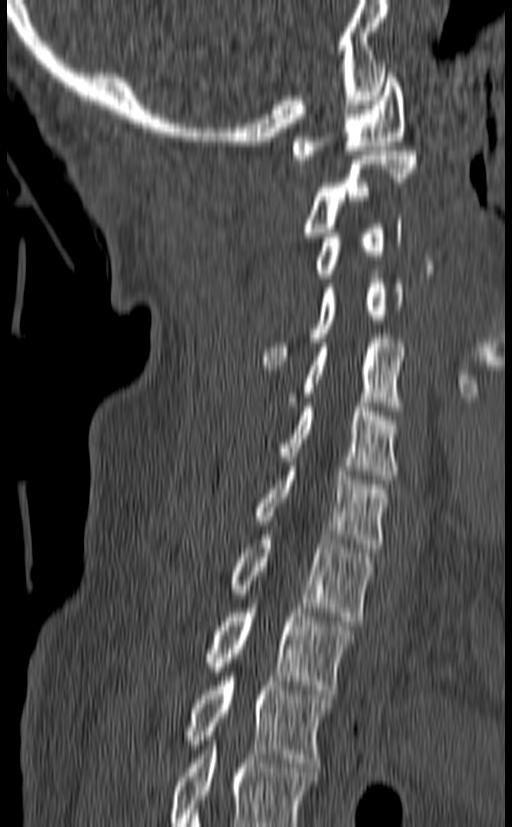 CT, spine · sagittal view · bone-window reconstruction

Each row gives a vertebra's box as x1, y1, x2, y2 in pixels: top-left corner, then bottom-right corner.
In this scan, the topmost labeled vertebra is C1 and the lowest is T3.
| vertebra | x1 | y1 | x2 | y2 |
|---|---|---|---|---|
| C1 | 293 | 69 | 405 | 159 |
| C2 | 301 | 151 | 417 | 237 |
| C3 | 312 | 215 | 402 | 278 |
| C4 | 263 | 270 | 403 | 365 |
| C5 | 288 | 338 | 406 | 415 |
| C6 | 279 | 402 | 399 | 479 |
| C7 | 254 | 462 | 388 | 552 |
| T1 | 228 | 530 | 373 | 621 |
| T2 | 204 | 603 | 354 | 694 |
| T3 | 184 | 672 | 333 | 767 |